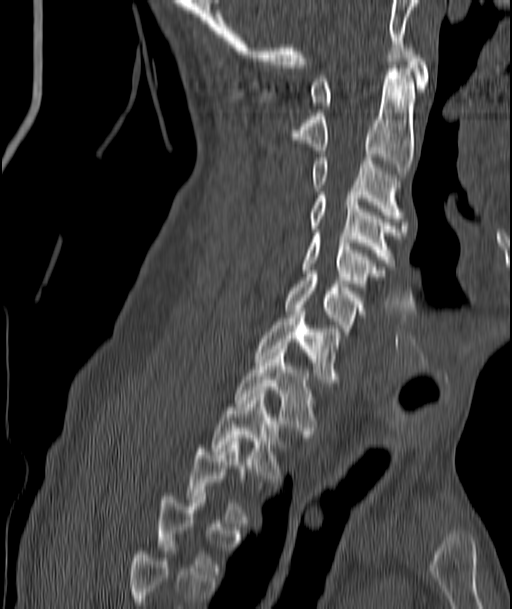

CT spine. sagittal view. W/L 1800/400 HU. Columns x1, y1, x2, y2 give each box's top-left and bottom-right pixels.
A vertebra gets a box only on the slices from the first to the last where its cross-section is at least a third of its largest; on a slice outside that range it gets none.
| vertebra | x1 | y1 | x2 | y2 |
|---|---|---|---|---|
| C1 | 310 | 44 | 428 | 109 |
| C2 | 291 | 68 | 414 | 177 |
| C3 | 313 | 157 | 402 | 218 |
| C4 | 310 | 192 | 405 | 266 |
| C5 | 302 | 233 | 383 | 286 |
| C6 | 286 | 274 | 364 | 334 |
| C7 | 255 | 308 | 339 | 382 |
| T1 | 236 | 349 | 315 | 437 |
| T2 | 212 | 394 | 279 | 478 |